CT · sagittal plane, index 148 · bone-window reconstruction · 250x571 px
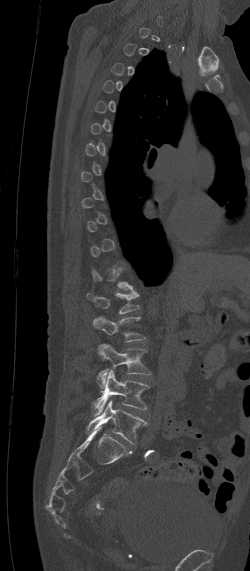 Box edges are left/top/right/bottom in pixels.
Not every vertebra on this slice has a box: a vertebra is boxed only from the first to the last slice where its cross-section is at least a third of its largest, and this slice is outside that range for at least one of them.
L5: left=85, top=400, right=147, bottom=443
L4: left=91, top=370, right=150, bottom=417
L3: left=95, top=344, right=150, bottom=388
L2: left=93, top=316, right=145, bottom=341
L1: left=86, top=291, right=140, bottom=313